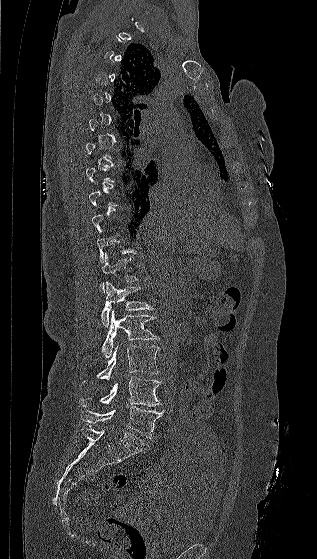

CT · sagittal view · Bone window (WL 400, WW 1800)
Each vertebra is boxed only on the slices from the first to the last where its cross-section reaches a third of its largest, so a slice outside that range leaves it unboxed.
<vertebrae><v name="L5" x1="80" y1="406" x2="164" y2="438"/><v name="L4" x1="80" y1="376" x2="161" y2="406"/><v name="L3" x1="83" y1="345" x2="159" y2="385"/><v name="L2" x1="102" y1="310" x2="159" y2="358"/><v name="L1" x1="101" y1="281" x2="154" y2="327"/><v name="T12" x1="100" y1="253" x2="138" y2="292"/></vertebrae>